CT; sagittal view; image 246 mm wide; bone window; a region of this slice is masked with a uniform fill
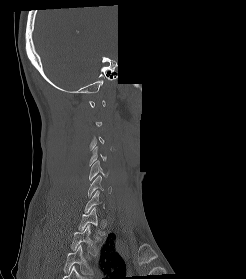 A vertebra is boxed only from the first to the last slice where its cross-section is at least a third of its largest; slices outside that range leave it without a box.
The highest labeled vertebra in this scan is C1; the lowest is T2.
<vertebrae><v name="C4" x1="89" y1="146" x2="106" y2="165"/><v name="C5" x1="89" y1="160" x2="109" y2="180"/><v name="C6" x1="87" y1="175" x2="111" y2="196"/><v name="T1" x1="78" y1="207" x2="104" y2="235"/><v name="T2" x1="71" y1="224" x2="98" y2="255"/></vertebrae>